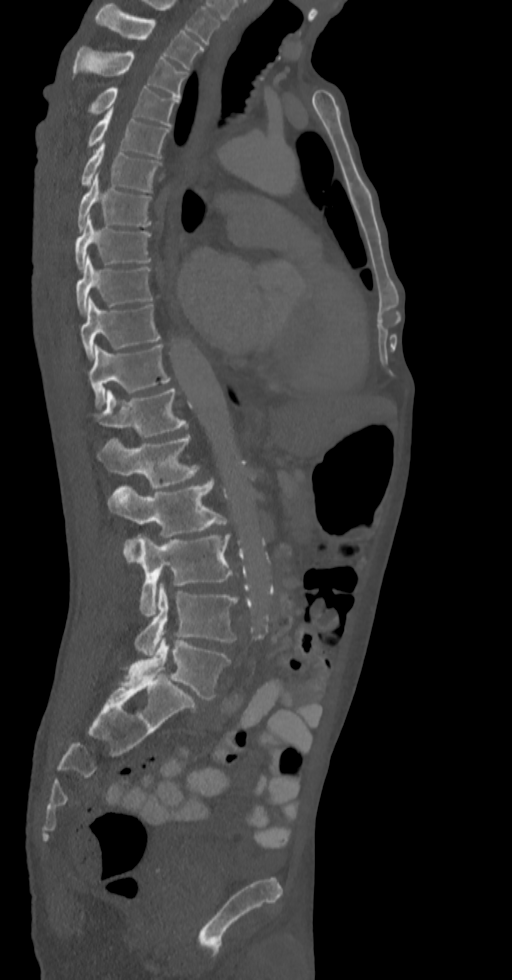

Computed tomography of the spine. sagittal view. bone-window reconstruction

Each box given as x1,y1,x2,y2.
| vertebra | x1 | y1 | x2 | y2 |
|---|---|---|---|---|
| T2 | 96 | 3 | 203 | 69 |
| T3 | 71 | 47 | 186 | 98 |
| T4 | 87 | 87 | 179 | 127 |
| T5 | 87 | 108 | 169 | 157 |
| T6 | 80 | 143 | 160 | 191 |
| T7 | 77 | 175 | 151 | 229 |
| T8 | 74 | 216 | 151 | 270 |
| T9 | 76 | 256 | 153 | 314 |
| T10 | 80 | 297 | 160 | 360 |
| T11 | 90 | 344 | 171 | 407 |
| T12 | 96 | 389 | 186 | 438 |
| L1 | 96 | 436 | 200 | 488 |
| L2 | 108 | 478 | 233 | 545 |
| L3 | 124 | 535 | 232 | 616 |
| L4 | 135 | 584 | 236 | 654 |
| L5 | 121 | 637 | 230 | 700 |